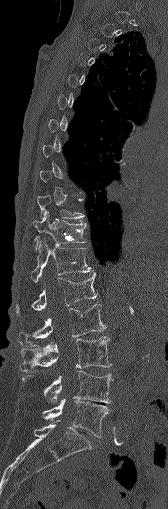 Computed tomography of the spine — sagittal reformat — 168 mm image width — W/L 1800/400 HU — 168x509 px
Coordinates as <box>x1,y1,x2,y2</box>.
Each vertebra is boxed only on the slices from the first to the last where its cross-section reaches a third of its largest, so a slice outside that range leaves it unboxed.
Vertebra bounding boxes:
- L5: <box>43,398,109,436</box>
- L4: <box>22,370,112,404</box>
- L3: <box>20,336,111,370</box>
- L2: <box>19,304,105,344</box>
- L1: <box>16,272,97,311</box>
- T12: <box>31,237,91,282</box>
- T11: <box>33,215,86,248</box>
- T10: <box>37,196,83,219</box>